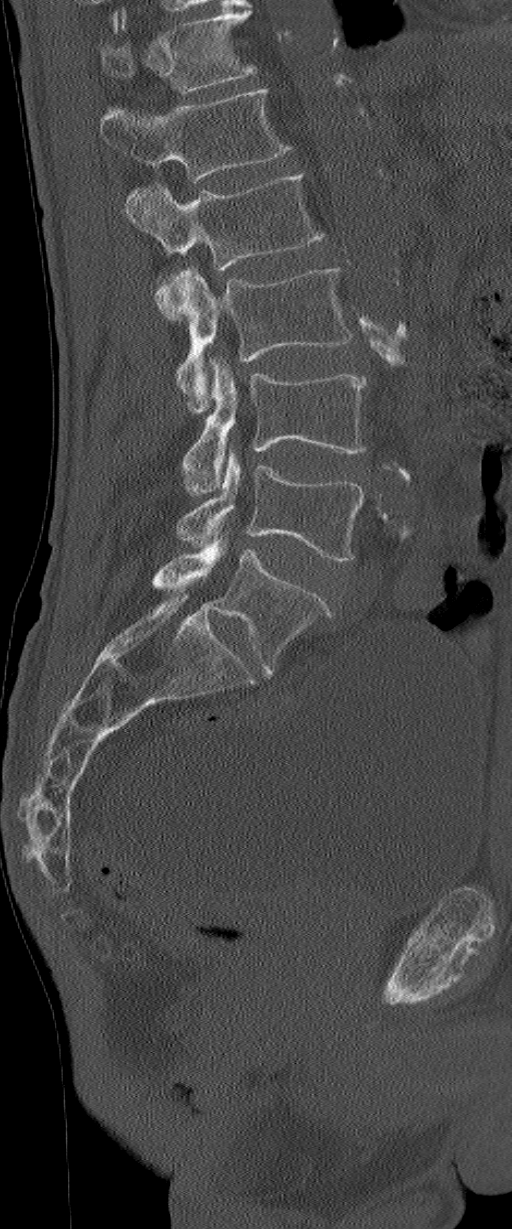 Computed tomography of the spine. image width 195 mm. sagittal view. W/L 1800/400 HU. 512x1229 px. Boxes are given in columns x1, y1, x2, y2, the pixel coordinates of their top-left and bottom-right corners.
This scan's labels start at L1 at the top and end at L6 at the bottom.
These labels give the spine a sixth lumbar vertebra, L6, below L5.
| vertebra | x1 | y1 | x2 | y2 |
|---|---|---|---|---|
| L1 | 101 | 87 | 291 | 181 |
| L2 | 124 | 174 | 325 | 318 |
| L3 | 177 | 266 | 352 | 415 |
| L4 | 182 | 361 | 365 | 494 |
| L5 | 177 | 450 | 365 | 562 |
| L6 | 153 | 539 | 331 | 672 |